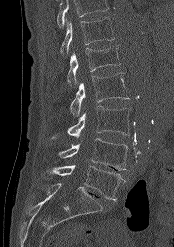

CT spine — sagittal view — 174 mm image width. Each box given as x1,y1,x2,y2.
Vertebrae that run past the top of the scan are left unlabeled.
| vertebra | x1 | y1 | x2 | y2 |
|---|---|---|---|---|
| L5 | 47 | 165 | 125 | 201 |
| L4 | 58 | 138 | 128 | 170 |
| L3 | 51 | 106 | 130 | 139 |
| L2 | 70 | 73 | 129 | 116 |
| L1 | 67 | 45 | 121 | 87 |
| T12 | 60 | 17 | 114 | 55 |